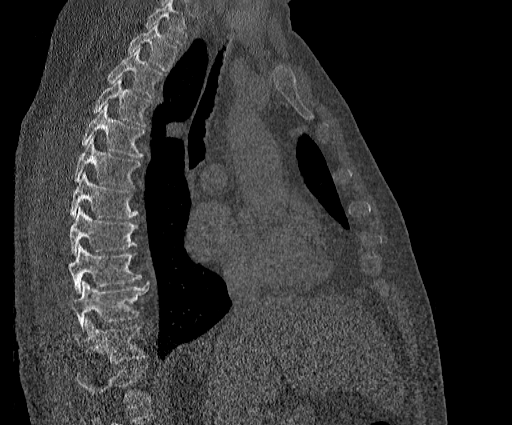

CT — sagittal view
Each box is [x1, y1, x2, y2] in pixels: top-left corner, then bottom-right corner.
Vertebrae that run past the top of the scan are left unlabeled.
The highest labeled vertebra in this scan is T2; the lowest is T11.
{"vertebrae":{"T11":[73,317,144,363],"T10":[69,281,148,328],"T9":[69,244,141,294],"T8":[69,207,138,255],"T7":[70,171,138,218],"T6":[74,136,140,187],"T5":[81,104,144,156],"T4":[93,77,151,126],"T3":[108,48,161,98],"T2":[127,24,177,71]}}